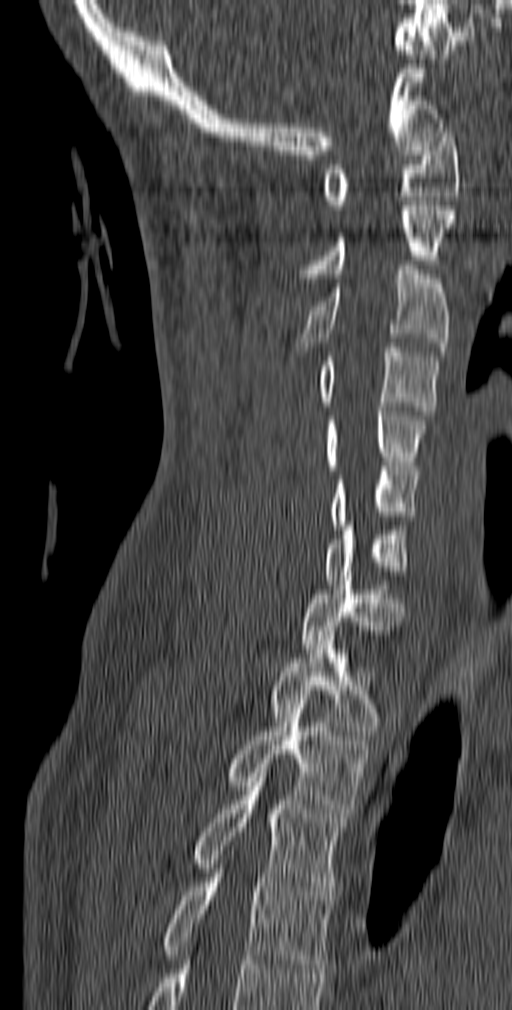
CT; sagittal view; image 140 mm wide
Boxes: x1:y1:x2:y2 in pixels.
Vertebra bounding boxes:
- C1: 323:128:459:209
- C2: 299:201:455:282
- C3: 297:265:450:356
- C4: 316:343:439:415
- C5: 323:407:428:470
- C6: 330:466:421:529
- C7: 323:521:410:584
- T1: 301:576:405:653
- T2: 268:631:384:740
- T3: 224:695:370:817
- T4: 192:773:348:900
- T5: 162:869:334:973